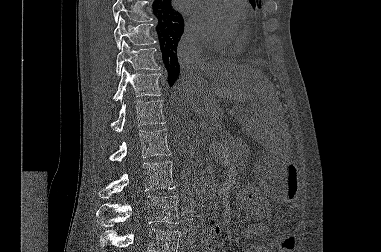

Spine computed tomography. sagittal view
Boxes: x1:y1:x2:y2 in pixels.
Vertebrae that run past the top or bottom of the scan are left unlabeled.
Vertebra bounding boxes:
- T9: 114:15:156:49
- T10: 116:39:160:75
- T11: 113:66:161:101
- T12: 111:100:165:132
- L1: 109:129:171:161
- L2: 98:161:175:198
- L3: 96:196:179:226